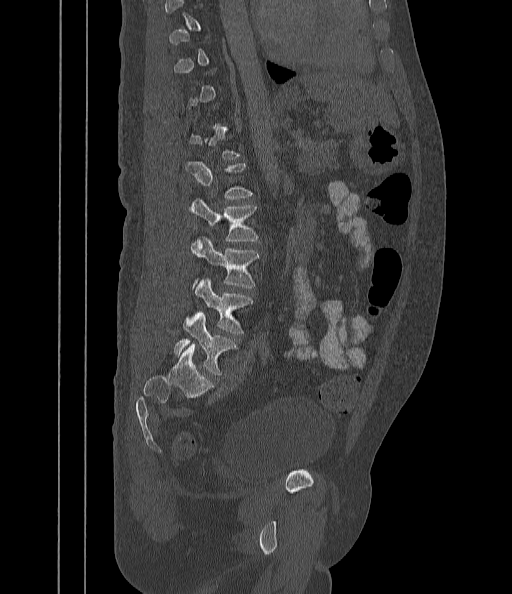

Computed tomography of the spine. sagittal reformat. image width 442 mm. 512x594 px. Boxes: x1:y1:x2:y2 in pixels. A vertebra gets a box only on the slices from the first to the last where its cross-section is at least a third of its largest; on a slice outside that range it gets none. The labeled vertebrae in this slice are: L5 at 174:313:235:374, L4 at 195:280:253:334, L3 at 190:238:258:287, L2 at 190:200:257:241, L1 at 184:162:253:199.